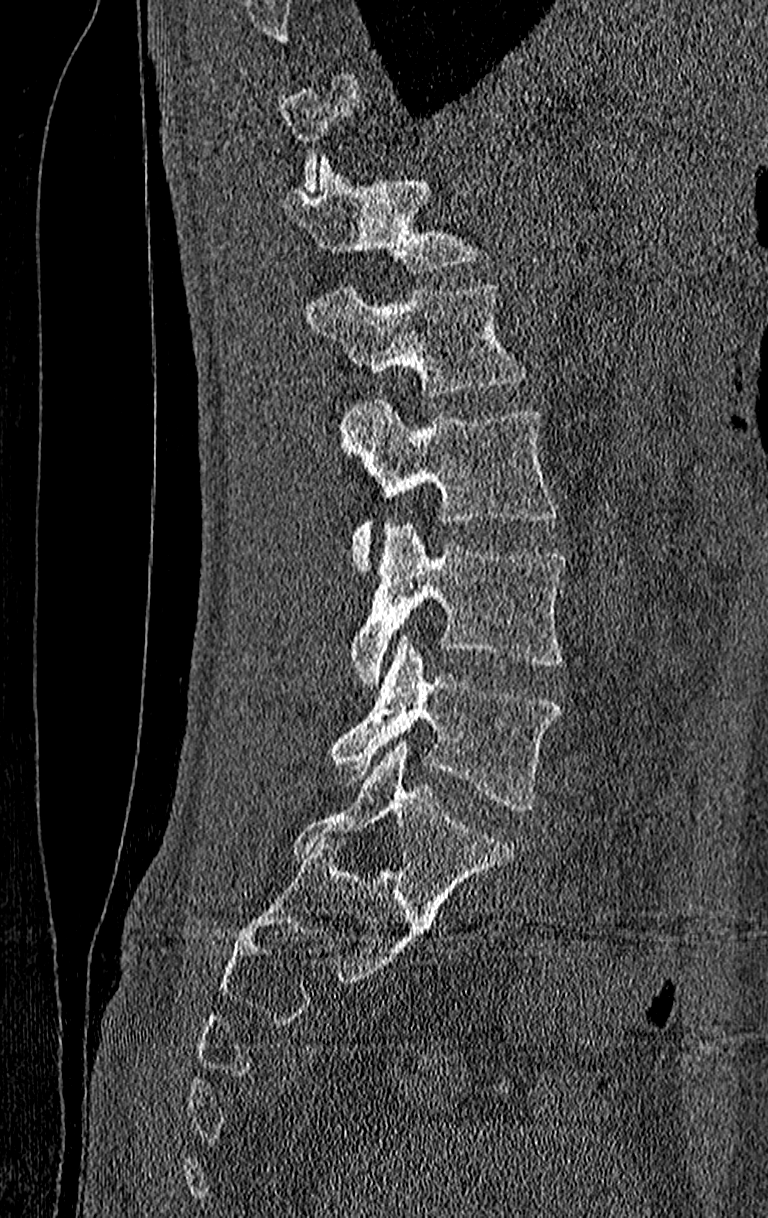

CT; sagittal view; Bone window (WL 400, WW 1800)
Bounding boxes as [x1, y1, x2, y2] in pixel coordinates. A vertebra gets a box only on the slices from the first to the last where its cross-section is at least a third of its largest; on a slice outside that range it gets none. The highest labeled vertebra in this scan is T11; the lowest is L4. Vertebrae labeled: T12 at [280, 156, 480, 271], L1 at [306, 283, 528, 399], L2 at [339, 400, 557, 570], L3 at [350, 523, 568, 684], L4 at [328, 637, 561, 812].